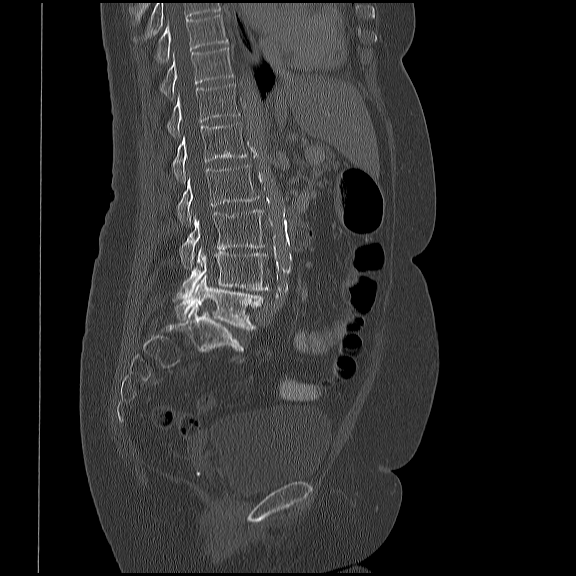
CT — 419 mm wide — sagittal view — 576x576 px
Boxes are given in columns x1, y1, x2, y2, the pixel coordinates of their top-left and bottom-right corners.
This scan's labels start at T10 at the top and end at L5 at the bottom.
| vertebra | x1 | y1 | x2 | y2 |
|---|---|---|---|---|
| L5 | 175 | 275 | 262 | 329 |
| L4 | 178 | 247 | 269 | 299 |
| L3 | 179 | 209 | 265 | 267 |
| L2 | 176 | 164 | 259 | 224 |
| L1 | 172 | 123 | 247 | 181 |
| T12 | 167 | 83 | 240 | 137 |
| T11 | 160 | 47 | 233 | 99 |
| T10 | 156 | 14 | 228 | 61 |